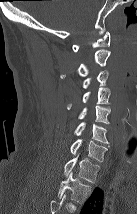 CT. sagittal view

Coordinates as <box>x1,y1,x2,y2</box>. Labels in this scan begin with C1 at the top and end with T2 at the bottom. The labeled vertebrae in this slice are: T2 at <box>58,172,91,202</box>, T1 at <box>64,153,99,182</box>, C7 at <box>70,139,107,161</box>, C6 at <box>74,122,109,146</box>, C5 at <box>78,106,110,124</box>, C4 at <box>67,88,110,109</box>, C3 at <box>83,70,108,88</box>, C2 at <box>60,49,110,78</box>, C1 at <box>72,31,110,52</box>.